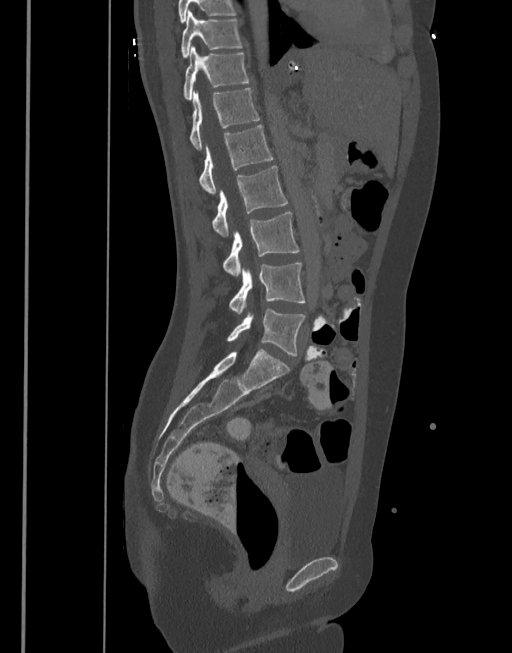 CT. sagittal view. bone-window reconstruction
<vertebrae><v name="T10" x1="180" y1="10" x2="243" y2="58"/><v name="T11" x1="183" y1="46" x2="250" y2="99"/><v name="T12" x1="190" y1="88" x2="260" y2="149"/><v name="L1" x1="199" y1="125" x2="273" y2="195"/><v name="L2" x1="212" y1="165" x2="288" y2="236"/><v name="L3" x1="223" y1="211" x2="299" y2="275"/><v name="L4" x1="229" y1="262" x2="306" y2="313"/><v name="L5" x1="227" y1="309" x2="306" y2="356"/></vertebrae>